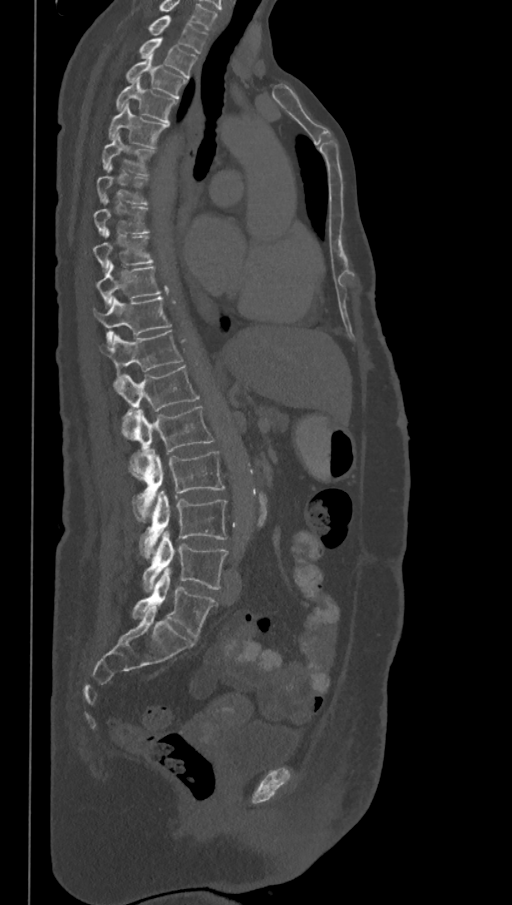
CT spine — sagittal reformat — Bone window (WL 400, WW 1800)
Box edges are left/top/right/bottom in pixels.
In this scan, the topmost labeled vertebra is T1 and the lowest is L6.
The labels name a sixth lumbar vertebra for this spine: L6, after L5.
T1: left=149, top=15, right=207, bottom=53
T2: left=139, top=38, right=196, bottom=78
T3: left=125, top=55, right=187, bottom=98
T4: left=115, top=78, right=177, bottom=123
T5: left=108, top=104, right=167, bottom=148
T6: left=101, top=133, right=155, bottom=176
T7: left=96, top=164, right=148, bottom=204
T8: left=93, top=200, right=149, bottom=236
T9: left=93, top=229, right=153, bottom=272
T10: left=96, top=262, right=162, bottom=305
T11: left=93, top=298, right=171, bottom=345
T12: left=100, top=331, right=182, bottom=386
L1: left=118, top=366, right=199, bottom=439
L2: left=133, top=406, right=214, bottom=452
L3: left=129, top=448, right=224, bottom=520
L4: left=139, top=491, right=227, bottom=557
L5: left=142, top=531, right=228, bottom=591
L6: left=132, top=568, right=217, bottom=640